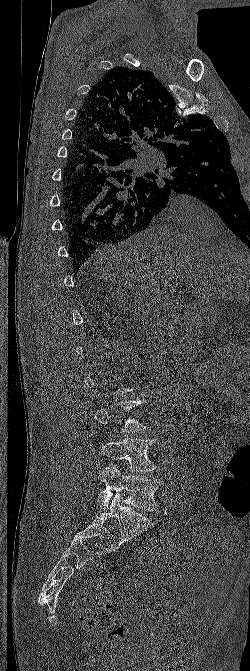
Computed tomography of the spine; the image is 250 mm wide; sagittal reformat
Boxes are given in columns x1, y1, x2, y2, the pixel coordinates of their top-left and bottom-right corners.
A vertebra gets a box only on the slices from the first to the last where its cross-section is at least a third of its largest; on a slice outside that range it gets none.
| vertebra | x1 | y1 | x2 | y2 |
|---|---|---|---|---|
| L4 | 99 | 438 | 159 | 471 |
| L5 | 97 | 464 | 160 | 510 |